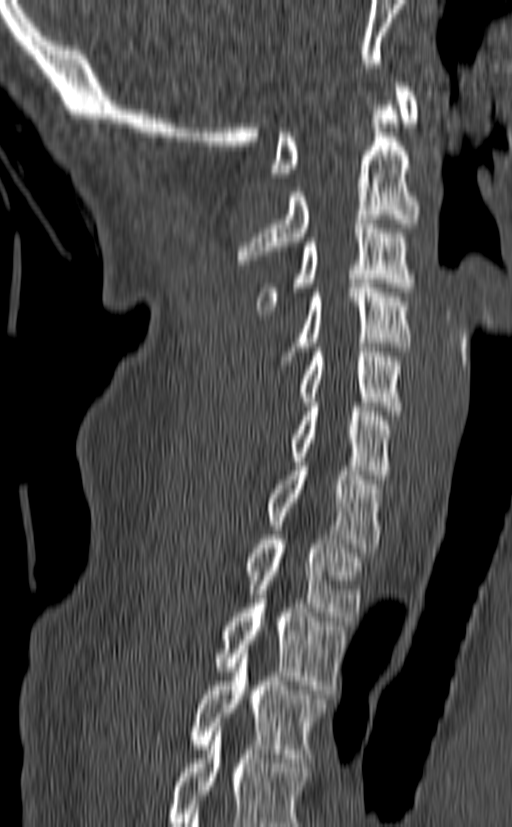

Spine CT. 140 mm wide. sagittal view
Boxes: x1:y1:x2:y2 in pixels. Labels in this scan begin with C1 at the top and end with T3 at the bottom. 10 vertebrae labeled — T3 at 192:645:326:762; T2 at 213:599:348:694; T1 at 246:535:362:621; C7 at 268:462:381:552; C6 at 290:402:392:479; C5 at 298:347:403:415; C4 at 281:279:410:365; C3 at 257:219:415:314; C2 at 237:101:419:264; C1 at 271:82:419:177.